Computed tomography of the spine — Sagittal slice 44/96
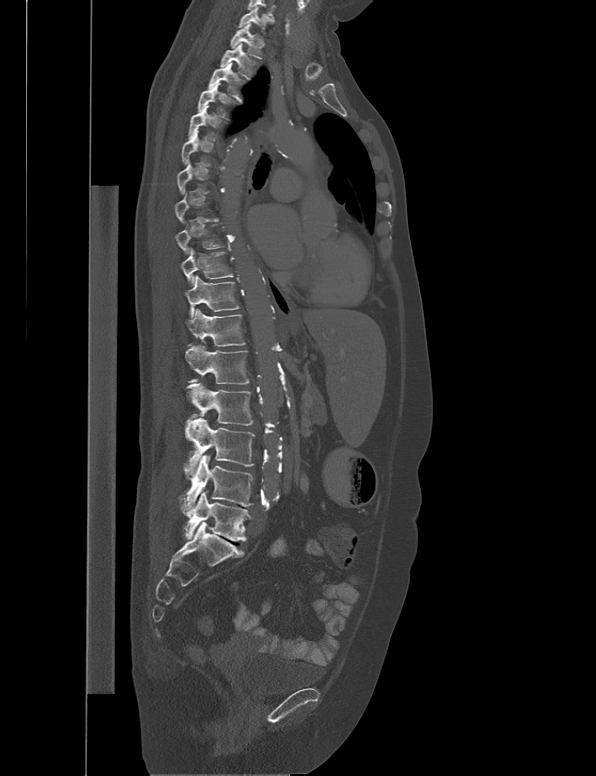 Not every vertebra on this slice has a box: a vertebra is boxed only from the first to the last slice where its cross-section is at least a third of its largest, and this slice is outside that range for at least one of them.
<vertebrae><v name="C7" x1="238" y1="6" x2="272" y2="34"/><v name="T1" x1="230" y1="22" x2="262" y2="58"/><v name="T2" x1="220" y1="43" x2="255" y2="79"/><v name="T3" x1="208" y1="62" x2="246" y2="102"/><v name="T4" x1="198" y1="82" x2="225" y2="117"/><v name="T5" x1="188" y1="105" x2="222" y2="141"/><v name="T10" x1="180" y1="248" x2="233" y2="285"/><v name="T11" x1="185" y1="276" x2="239" y2="318"/><v name="T12" x1="185" y1="308" x2="245" y2="347"/><v name="L1" x1="185" y1="346" x2="248" y2="383"/><v name="L2" x1="187" y1="383" x2="253" y2="426"/><v name="L3" x1="183" y1="414" x2="255" y2="478"/><v name="L4" x1="179" y1="455" x2="254" y2="518"/><v name="L5" x1="185" y1="491" x2="250" y2="541"/></vertebrae>